Spine CT; Sagittal slice 297/512; bone-window reconstruction
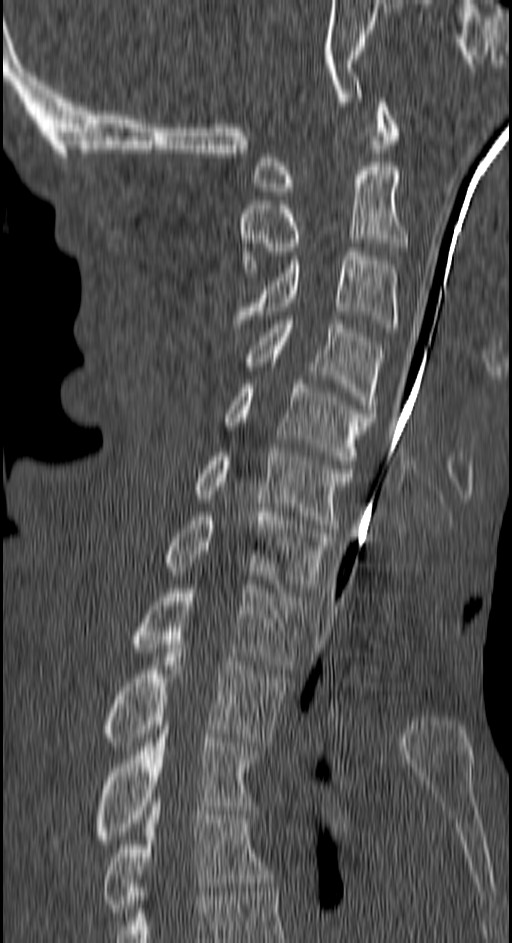 Boxes are given in columns x1, y1, x2, y2, the pixel coordinates of their top-left and bottom-right corners.
| vertebra | x1 | y1 | x2 | y2 |
|---|---|---|---|---|
| C1 | 253 | 98 | 396 | 195 |
| C2 | 240 | 166 | 406 | 272 |
| C3 | 232 | 252 | 397 | 328 |
| C4 | 244 | 316 | 383 | 413 |
| C5 | 223 | 380 | 376 | 468 |
| C6 | 196 | 448 | 352 | 532 |
| C7 | 165 | 508 | 335 | 592 |
| T1 | 131 | 585 | 305 | 669 |
| T2 | 104 | 644 | 286 | 746 |
| T3 | 97 | 721 | 256 | 844 |
| T4 | 104 | 802 | 273 | 916 |